Spine CT. sagittal reformat. 230x367 px. 9 vertebrae labeled in this scan
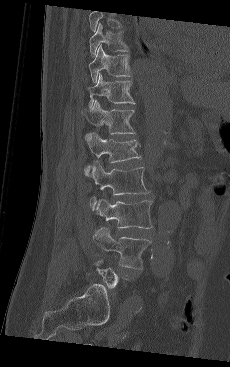 Each row gives a vertebra's box as x1, y1, x2, y2 in pixels: top-left corner, then bottom-right corner.
A vertebra is boxed only from the first to the last slice where its cross-section is at least a third of its largest; slices outside that range leave it without a box.
The highest labeled vertebra in this scan is T9; the lowest is L5.
| vertebra | x1 | y1 | x2 | y2 |
|---|---|---|---|---|
| L4 | 93 | 227 | 151 | 269 |
| L3 | 94 | 198 | 152 | 236 |
| L2 | 90 | 162 | 150 | 209 |
| L1 | 85 | 132 | 141 | 175 |
| T12 | 82 | 100 | 135 | 139 |
| T11 | 88 | 73 | 135 | 108 |
| T10 | 88 | 45 | 131 | 82 |
| T9 | 89 | 23 | 128 | 56 |